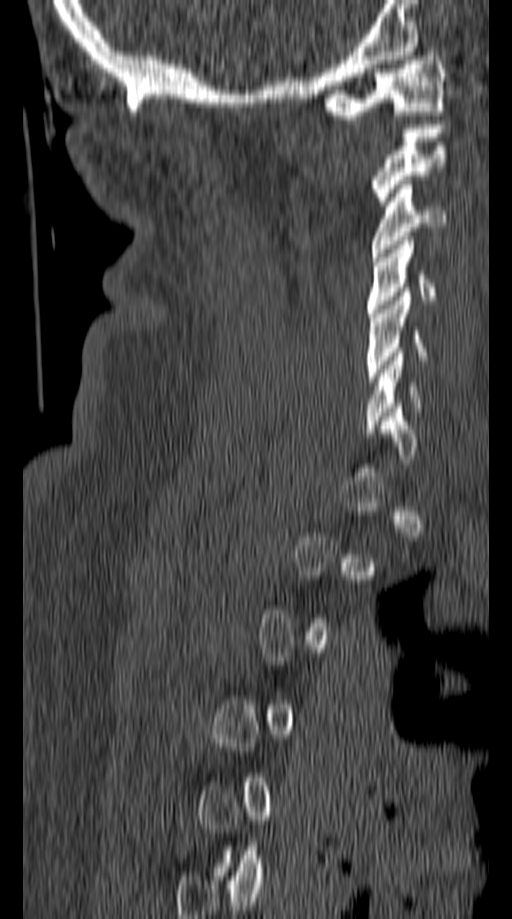
Spine CT; sagittal view; 512x919 px
A vertebra gets a box only on the slices from the first to the last where its cross-section is at least a third of its largest; on a slice outside that range it gets none.
<vertebrae><v name="C1" x1="320" y1="52" x2="447" y2="119"/><v name="C2" x1="372" y1="120" x2="443" y2="205"/><v name="C3" x1="372" y1="180" x2="447" y2="257"/><v name="C4" x1="365" y1="241" x2="435" y2="317"/><v name="C5" x1="365" y1="292" x2="426" y2="381"/></vertebrae>